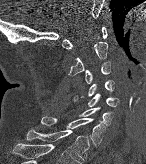
Spine CT; 146 mm wide; sagittal view. Each box given as x1,y1,x2,y2.
Vertebra bounding boxes:
- C1: x1=62, y1=26, x2=107, y2=49
- C2: x1=68, y1=42, x2=108, y2=76
- C3: x1=85, y1=62, x2=110, y2=83
- C4: x1=87, y1=80, x2=113, y2=96
- C5: x1=88, y1=94, x2=118, y2=107
- C6: x1=79, y1=107, x2=112, y2=126
- C7: x1=41, y1=116, x2=105, y2=146
- T1: x1=26, y1=129, x2=89, y2=161